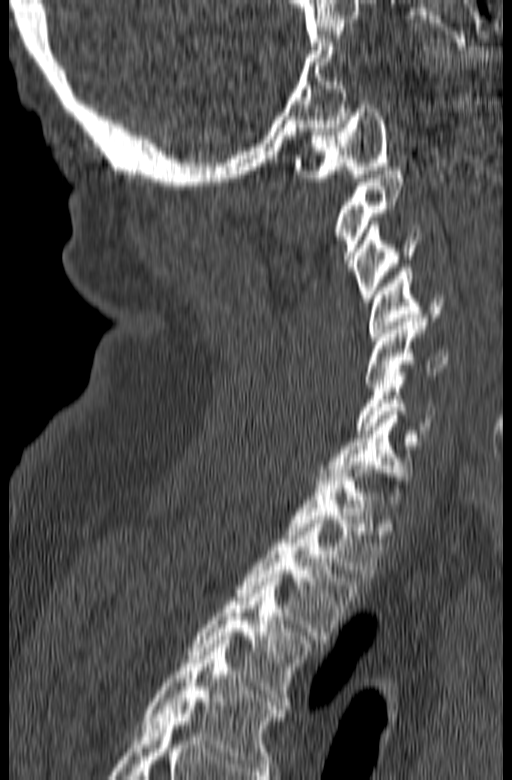
CT spine. 165 mm wide. sagittal reformat. 512x780 px. Boxes: x1:y1:x2:y2 in pixels.
The highest labeled vertebra in this scan is C1; the lowest is T3.
Vertebra bounding boxes:
- T3: 189:578:310:705
- T2: 236:520:358:643
- T1: 283:465:384:577
- C7: 320:411:421:499
- C6: 355:368:435:433
- C5: 364:318:448:387
- C4: 370:268:444:340
- C3: 352:221:420:302
- C2: 336:167:404:271
- C1: 295:101:389:181